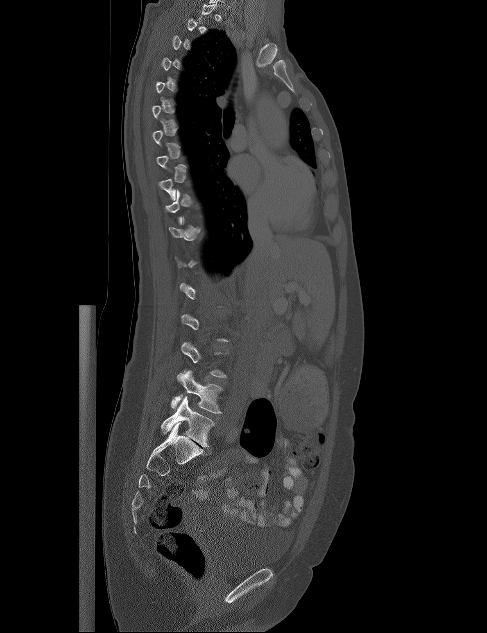 CT spine — sagittal view
Bounding boxes as [x1, y1, x2, y2] in pixel coordinates.
Not every vertebra on this slice has a box: a vertebra is boxed only from the first to the last slice where its cross-section is at least a third of its largest, and this slice is outside that range for at least one of them.
L5: [161, 396, 214, 447]
L4: [171, 370, 223, 413]